Computed tomography of the spine — 180 mm wide — Sagittal slice 281/512
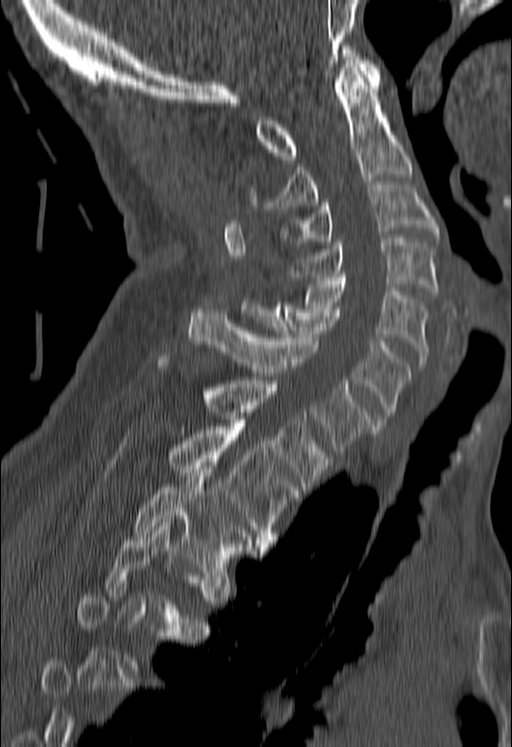
Boxes below are [x1, y1, x2, y2] in pixels.
Not every vertebra on this slice has a box: a vertebra is boxed only from the first to the last slice where its cross-section is at least a third of its largest, and this slice is outside that range for at least one of them.
{"vertebrae":{"C1":[255,46,381,159],"C2":[248,64,412,209],"C3":[280,185,438,244],"C4":[289,238,438,294],"C5":[302,277,427,365],"C6":[241,302,410,422],"C7":[188,309,373,454],"T1":[157,359,330,490],"T2":[169,427,299,547],"T3":[135,466,253,568]}}